CT. sagittal reformat. bone window
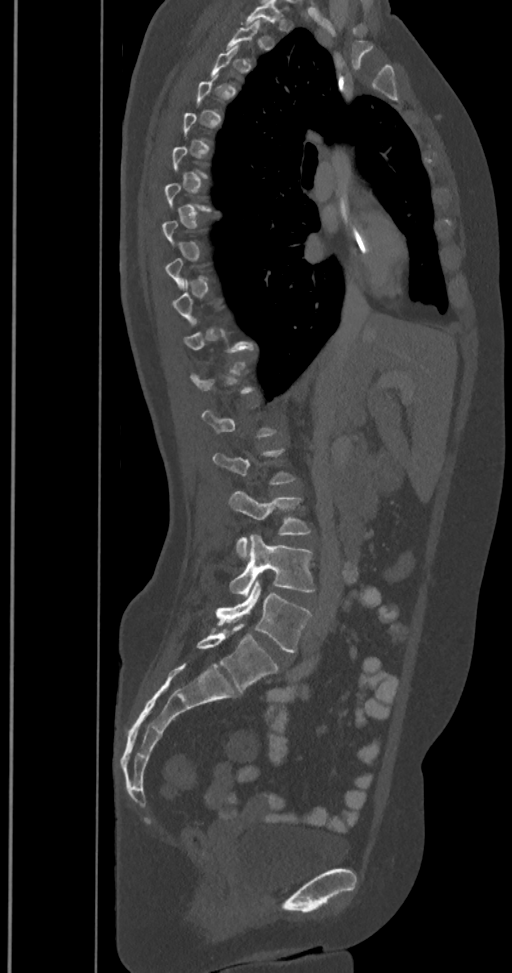 A vertebra gets a box only on the slices from the first to the last where its cross-section is at least a third of its largest; on a slice outside that range it gets none.
The labels name a sixth lumbar vertebra for this spine: L6, after L5.
<vertebrae><v name="L3" x1="229" y1="490" x2="310" y2="559"/><v name="L4" x1="229" y1="535" x2="315" y2="594"/><v name="L5" x1="216" y1="581" x2="312" y2="652"/><v name="L6" x1="197" y1="625" x2="278" y2="692"/></vertebrae>